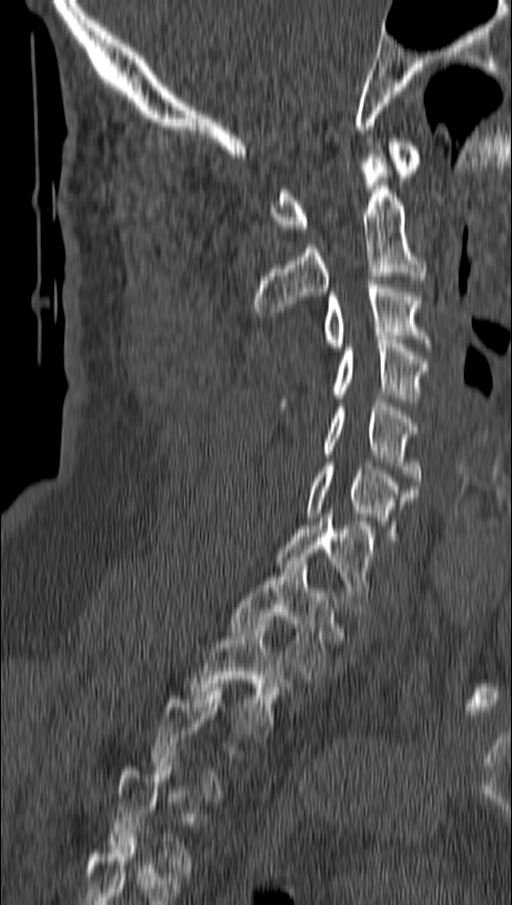

CT, spine; sagittal reformat; bone window; 162 mm across the image

Bounding boxes as [x1, y1, x2, y2] in pixel coordinates. Not every vertebra on this slice has a box: a vertebra is boxed only from the first to the last slice where its cross-section is at least a third of its largest, and this slice is outside that range for at least one of them. Vertebrae labeled: C1 at [273, 138, 423, 232], C2 at [254, 154, 424, 315], C3 at [323, 280, 430, 351], C4 at [280, 336, 427, 406], C5 at [323, 399, 420, 485], C6 at [308, 462, 418, 540], C7 at [276, 514, 373, 607], T1 at [232, 561, 335, 679], T2 at [191, 620, 285, 734].